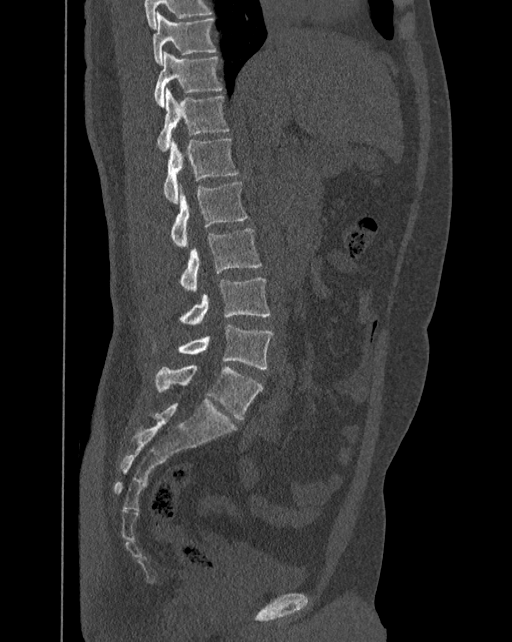
CT. sagittal view. 512x642 px
Boxes are given in columns x1, y1, x2, y2, the pixel coordinates of their top-left and bottom-right corners.
These labels give the spine a sixth lumbar vertebra, L6, below L5.
| vertebra | x1 | y1 | x2 | y2 |
|---|---|---|---|---|
| T10 | 153 | 11 | 216 | 65 |
| T11 | 154 | 52 | 222 | 107 |
| T12 | 157 | 87 | 229 | 151 |
| L1 | 163 | 138 | 239 | 202 |
| L2 | 171 | 182 | 248 | 246 |
| L3 | 179 | 228 | 261 | 291 |
| L4 | 179 | 277 | 271 | 325 |
| L5 | 153 | 324 | 273 | 369 |
| L6 | 155 | 364 | 263 | 419 |